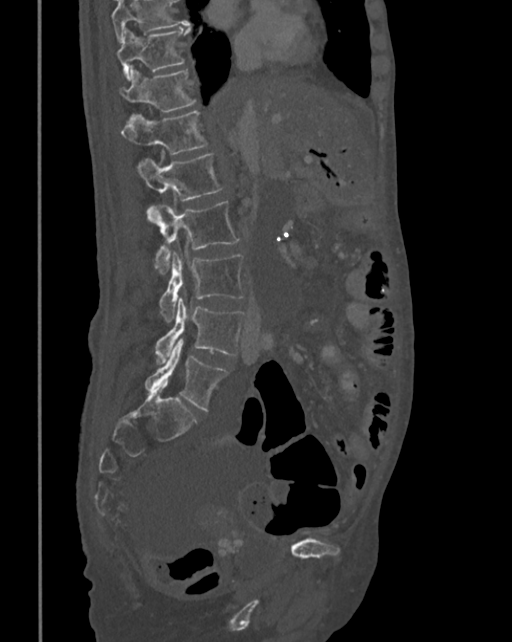 CT. sagittal view. bone-window reconstruction. 512x642 px. Box edges are left/top/right/bottom in pixels. No box is given to a vertebra that the top edge of the scan cuts off. Vertebrae labeled: T10 at left=117, top=27, right=190, bottom=81, T11 at left=120, top=68, right=196, bottom=117, T12 at left=121, top=111, right=207, bottom=154, L1 at left=137, top=153, right=223, bottom=222, L2 at left=149, top=201, right=240, bottom=274, L3 at left=158, top=252, right=244, bottom=322, L4 at left=155, top=299, right=245, bottom=364, L5 at left=145, top=338, right=228, bottom=411.